Spine computed tomography · sagittal view · 23 vertebrae labeled in this scan · an area of the scan was removed and filled with constant pixels
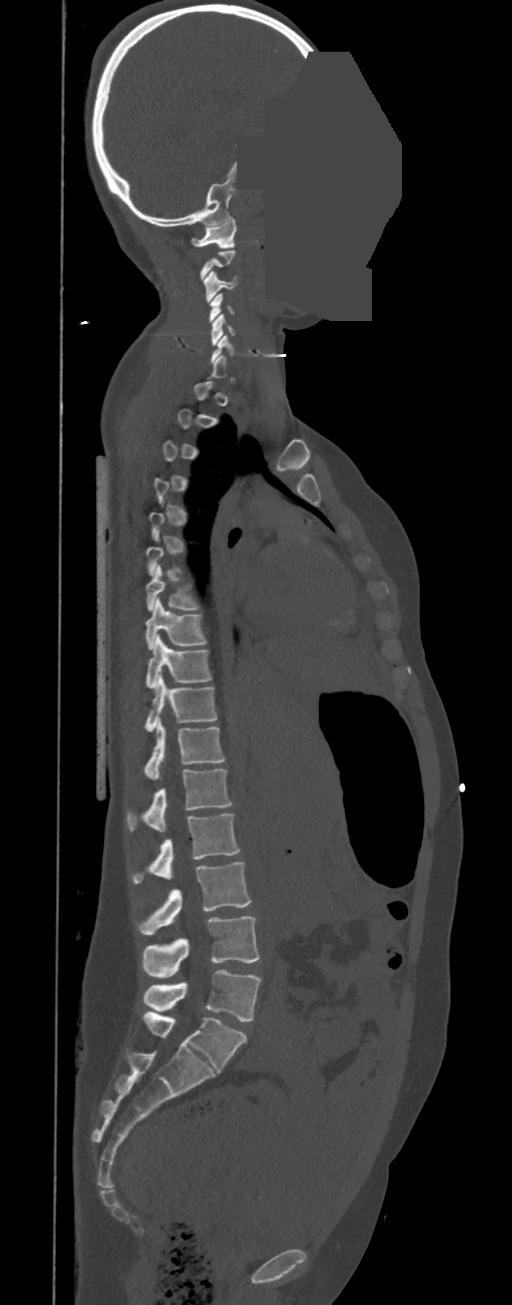 Boxes: x1 y1 x2 y2 (pixel coords, space-separated).
Not every vertebra on this slice has a box: a vertebra is boxed only from the first to the last slice where its cross-section is at least a third of its largest, and this slice is outside that range for at least one of them.
In these labels the spine has no T12: the thoracic vertebrae end at T11, and L1 comes next.
Vertebra bounding boxes:
- C1: 191 217 236 248
- C3: 203 270 237 302
- C4: 209 294 236 322
- C5: 210 313 234 345
- T7: 146 565 199 610
- T8: 145 598 206 649
- T9: 145 635 212 688
- T10: 145 674 217 731
- T11: 143 721 226 780
- L1: 127 769 233 831
- L2: 131 814 240 882
- L3: 137 862 250 935
- L4: 143 916 259 977
- L5: 143 970 261 1022